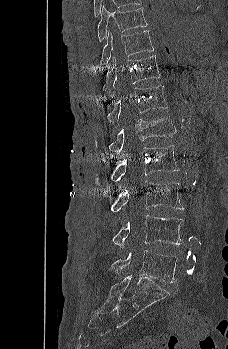
Spine computed tomography — sagittal reformat — Bone window (WL 400, WW 1800) — 228x349 px
<vertebrae><v name="T9" x1="97" y1="6" x2="147" y2="42"/><v name="T10" x1="100" y1="30" x2="154" y2="65"/><v name="T11" x1="103" y1="55" x2="160" y2="95"/><v name="T12" x1="107" y1="85" x2="167" y2="126"/><v name="L1" x1="107" y1="116" x2="176" y2="155"/><v name="L2" x1="95" y1="145" x2="179" y2="185"/><v name="L3" x1="111" y1="180" x2="184" y2="212"/><v name="L4" x1="112" y1="215" x2="183" y2="248"/><v name="L5" x1="111" y1="250" x2="178" y2="282"/></vertebrae>